Spine computed tomography. sagittal reformat. 345 mm wide. 512x651 px
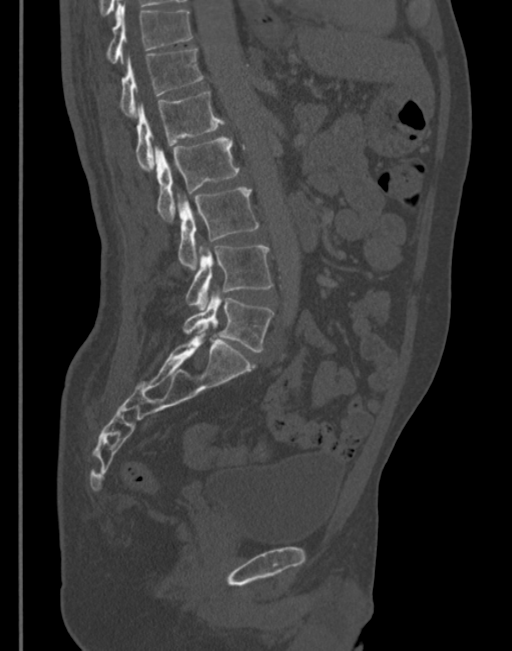
Each box is [x1, y1, x2, y2] in pixels: top-left corner, then bottom-right corner.
{"vertebrae":{"T11":[105,5,193,63],"T12":[118,49,204,117],"L1":[135,91,223,169],"L2":[154,138,239,220],"L3":[178,188,258,269],"L4":[185,245,272,310],"L5":[182,294,273,352]}}